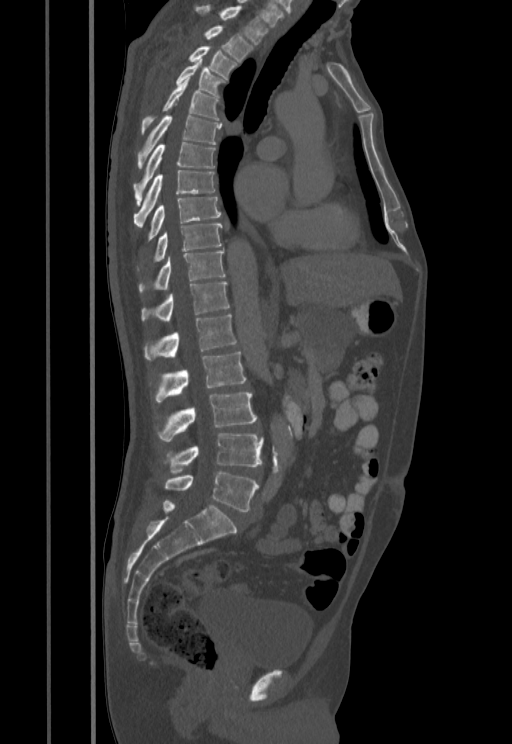
CT; sagittal view; 512x744 px; image 455 mm wide
Bounding boxes as [x1, y1, x2, y2] in pixel coordinates.
T1: [195, 4, 270, 44]
T2: [204, 25, 253, 62]
T3: [188, 46, 237, 79]
T4: [175, 59, 226, 97]
T5: [141, 77, 219, 133]
T6: [137, 115, 221, 168]
T7: [134, 142, 215, 204]
T8: [134, 170, 215, 225]
T9: [147, 197, 221, 241]
T10: [137, 224, 222, 269]
T11: [138, 250, 225, 293]
T12: [141, 281, 230, 321]
L1: [144, 314, 236, 359]
L2: [155, 352, 245, 403]
L3: [157, 392, 257, 442]
L4: [164, 433, 262, 473]
L5: [164, 471, 259, 511]